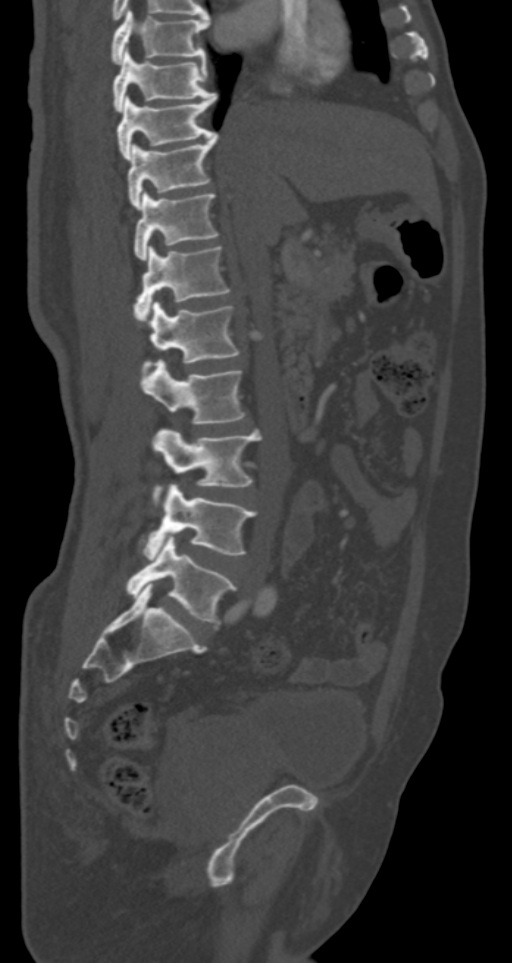 Spine CT · sagittal reformat
Box edges are left/top/right/bottom in pixels.
| vertebra | x1 | y1 | x2 | y2 |
|---|---|---|---|---|
| T7 | 112 | 9 | 207 | 63 |
| T8 | 112 | 50 | 214 | 111 |
| T9 | 117 | 94 | 216 | 159 |
| T10 | 128 | 134 | 218 | 208 |
| T11 | 133 | 191 | 218 | 259 |
| T12 | 133 | 246 | 229 | 321 |
| L1 | 144 | 301 | 239 | 367 |
| L2 | 141 | 360 | 245 | 424 |
| L3 | 151 | 430 | 261 | 505 |
| L4 | 139 | 483 | 255 | 558 |
| L5 | 126 | 537 | 234 | 623 |